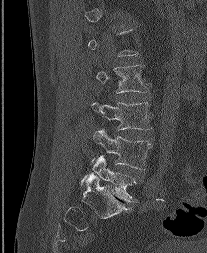

CT. sagittal view. 207x253 px. image width 207 mm

Box values are [left, top, right, bottom] in pixels.
Not every vertebra on this slice has a box: a vertebra is boxed only from the first to the last slice where its cross-section is at least a third of its largest, and this slice is outside that range for at least one of them.
{"vertebrae":{"L5":[81,156,137,202],"L4":[91,129,152,169],"L3":[92,102,151,129],"L2":[96,64,149,92]}}